CT, spine; Sagittal slice 249/512; W/L 1800/400 HU
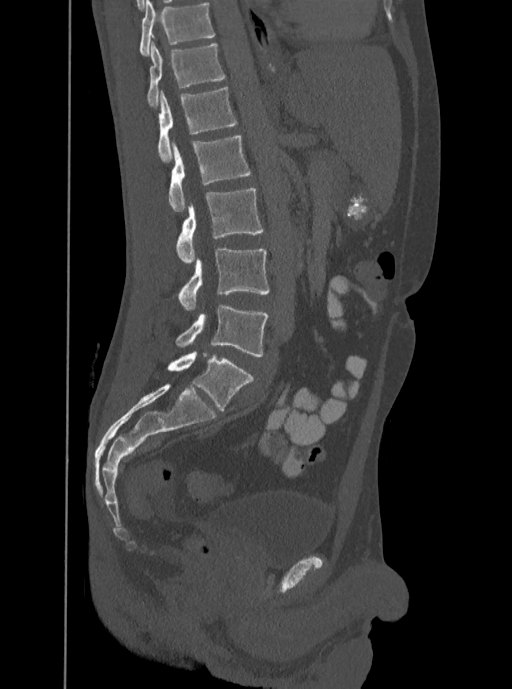 Boxes: x1:y1:x2:y2 in pixels.
This scan's labels start at T12 at the top and end at L5 at the bottom.
L5: 175:305:268:357
L4: 178:249:269:310
L3: 177:188:264:264
L2: 168:136:250:212
L1: 158:87:237:162
T12: 147:41:224:106